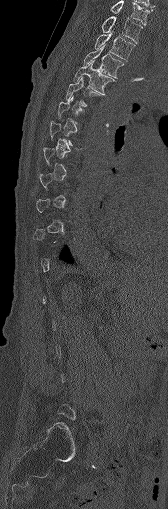 Spine CT — sagittal reformat — 168x509 px — 168 mm image width
Box values are [left, top, right, bottom] in pixels.
A vertebra gets a box only on the slices from the first to the last where its cross-section is at least a third of its largest; on a slice outside that range it gets none.
{"vertebrae":{"C7":[111,1,149,24],"T1":[101,16,142,42],"T2":[94,33,135,60],"T3":[83,46,124,78],"T4":[74,60,114,94],"T5":[65,77,99,107]}}